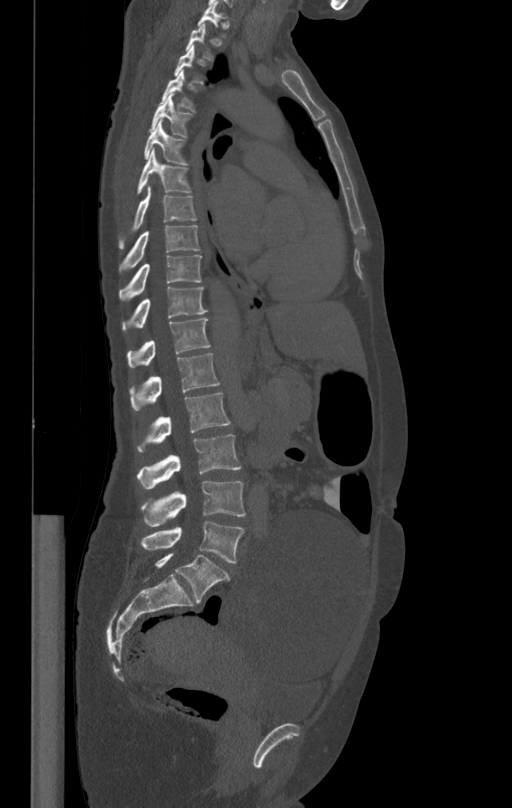 Computed tomography of the spine; the image spans 412 mm across; sagittal view; W/L 1800/400 HU; 512x808 px. Boxes are (x1, y1, x2, y2) in pixels.
Each vertebra is boxed only on the slices from the first to the last where its cross-section reaches a third of its largest, so a slice outside that range leaves it unboxed.
Vertebra bounding boxes:
- T4: (161, 72, 196, 111)
- T5: (151, 94, 190, 137)
- T6: (145, 121, 188, 165)
- T7: (137, 149, 190, 192)
- T8: (119, 185, 196, 248)
- T9: (119, 225, 199, 272)
- T10: (119, 255, 201, 301)
- T11: (122, 286, 206, 330)
- T12: (127, 318, 210, 368)
- L1: (129, 352, 219, 411)
- L2: (137, 393, 230, 452)
- L3: (137, 435, 241, 489)
- L4: (142, 481, 245, 526)
- L5: (140, 521, 244, 563)